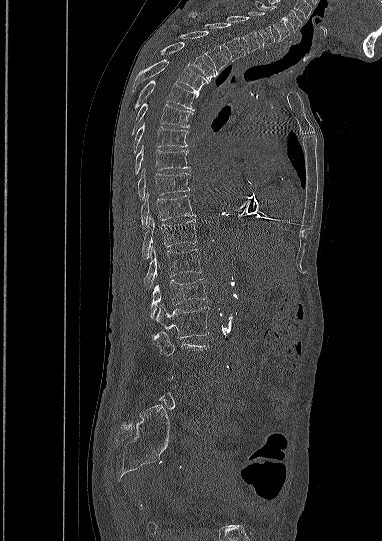 Spine computed tomography. sagittal reformat. W/L 1800/400 HU. 382 mm across the image. 382x541 px. Each box given as x1,y1,x2,y2.
A vertebra gets a box only on the slices from the first to the last where its cross-section is at least a third of its largest; on a slice outside that range it gets none.
| vertebra | x1 | y1 | x2 | y2 |
|---|---|---|---|---|
| C5 | 254 | 0 | 289 | 40 |
| C6 | 248 | 12 | 275 | 47 |
| C7 | 227 | 16 | 260 | 53 |
| T1 | 190 | 13 | 246 | 62 |
| T2 | 179 | 31 | 228 | 75 |
| T3 | 162 | 42 | 214 | 80 |
| T4 | 132 | 59 | 208 | 93 |
| T5 | 135 | 80 | 199 | 110 |
| T6 | 130 | 103 | 192 | 135 |
| T7 | 133 | 124 | 188 | 153 |
| T8 | 134 | 148 | 188 | 174 |
| T9 | 137 | 169 | 189 | 200 |
| T10 | 140 | 193 | 194 | 228 |
| T11 | 141 | 217 | 196 | 259 |
| T12 | 144 | 246 | 201 | 289 |
| L1 | 150 | 279 | 206 | 318 |
| L2 | 156 | 304 | 209 | 337 |
| L3 | 152 | 331 | 207 | 355 |